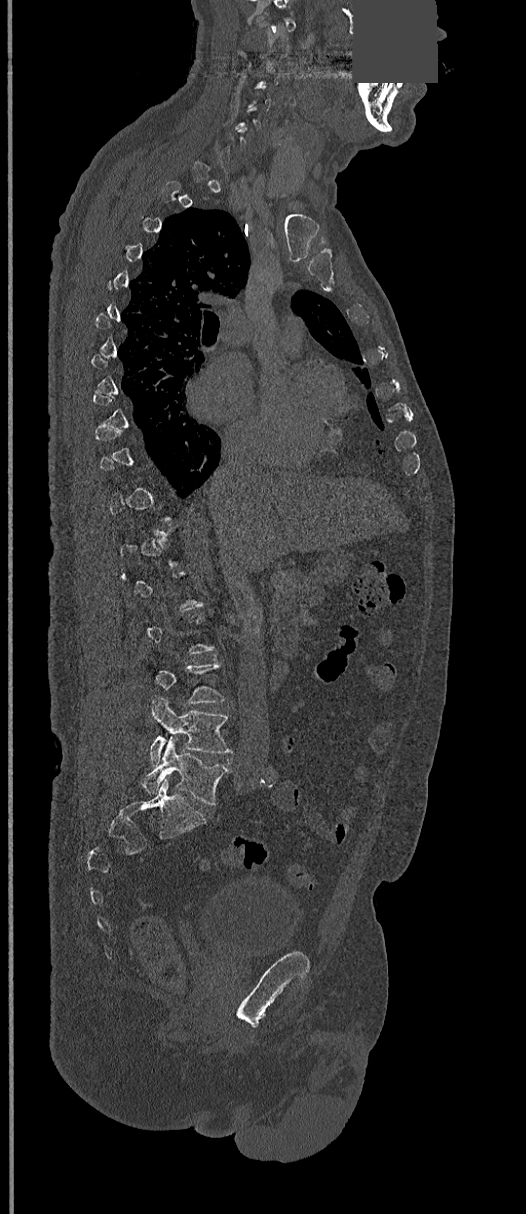 Spine computed tomography. image 368 mm wide. sagittal view. some of the image was removed or blocked out with constant pixels
Each vertebra is boxed only on the slices from the first to the last where its cross-section reaches a third of its largest, so a slice outside that range leaves it unboxed.
<vertebrae><v name="L4" x1="150" y1="697" x2="232" y2="765"/><v name="L5" x1="143" y1="738" x2="229" y2="805"/></vertebrae>